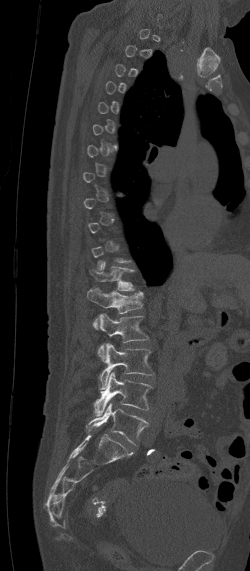
Spine CT — 250 mm wide — sagittal view
In the table, x1 and y1 are a box's top-left corner and x2 and y2 its bottom-right corner, in pixels.
Each vertebra is boxed only on the slices from the first to the last where its cross-section reaches a third of its largest, so a slice outside that range leaves it unboxed.
| vertebra | x1 | y1 | x2 | y2 |
|---|---|---|---|---|
| L5 | 85 | 403 | 149 | 444 |
| L4 | 92 | 371 | 153 | 416 |
| L3 | 96 | 343 | 153 | 389 |
| L2 | 98 | 314 | 148 | 360 |
| L1 | 86 | 289 | 143 | 329 |
| T12 | 89 | 261 | 135 | 291 |